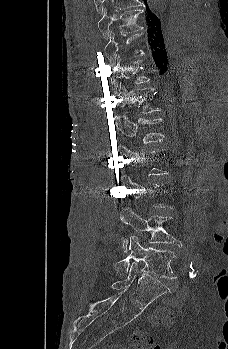

Computed tomography of the spine — sagittal view — W/L 1800/400 HU

Each vertebra maps to its box as [x1, y1, x2, y2], the pixel coordinates of its top-left and bottom-right corners.
Not every vertebra on this slice has a box: a vertebra is boxed only from the first to the last slice where its cross-section is at least a third of its largest, and this slice is outside that range for at least one of them.
{"vertebrae":{"T9":[97,7,144,39],"T10":[104,31,146,65],"T11":[111,54,150,93],"T12":[117,82,161,113],"L1":[114,115,164,143],"L4":[120,208,181,252],"L5":[112,235,177,278]}}